Spine computed tomography; sagittal reformat; 168 mm wide; W/L 1800/400 HU
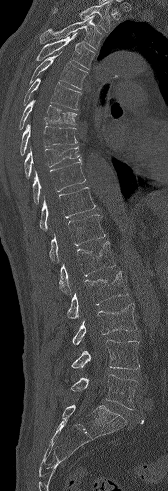

Box values are [left, top, right, bottom] in pixels.
Where the top of the scan cuts through a vertebra, that vertebra gets no label or box.
{"vertebrae":{"T3":[40,15,103,50],"T4":[35,32,95,69],"T5":[29,52,88,89],"T6":[24,78,81,110],"T7":[19,99,76,129],"T8":[20,124,77,155],"T9":[24,147,81,178],"T10":[32,161,85,204],"T11":[40,187,95,231],"T12":[49,214,105,262],"L1":[59,241,115,294],"L2":[67,271,128,319],"L3":[72,303,137,344],"L4":[71,340,139,369],"L5":[71,374,137,409]}}